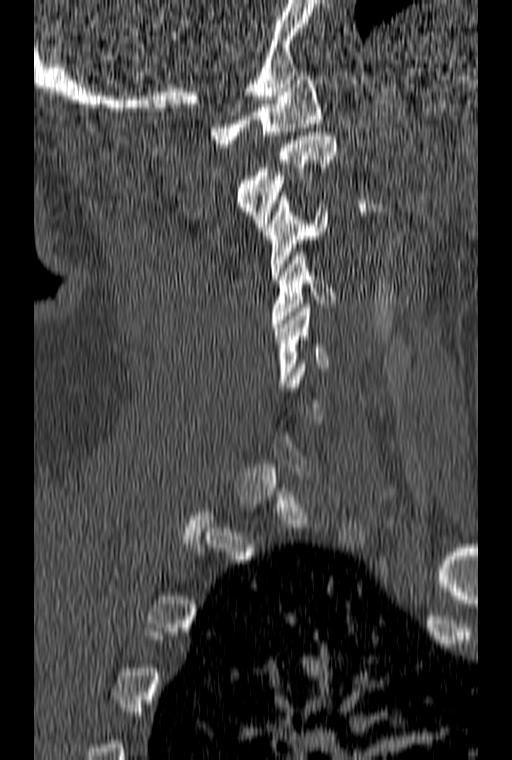
Spine computed tomography · 160 mm wide · sagittal view · bone window · 512x760 px

Box values are [left, top, right, bottom] in pixels.
A vertebra gets a box only on the slices from the first to the last where its cross-section is at least a third of its largest; on a slice outside that range it gets none.
{"vertebrae":{"C1":[211,72,321,147],"C2":[236,132,336,231],"C3":[263,196,327,279],"C4":[270,252,336,327],"C5":[274,304,328,387]}}